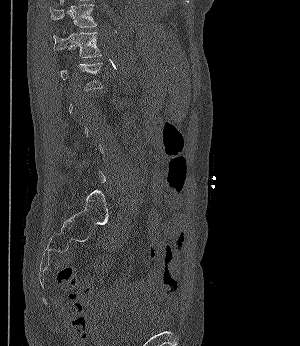

CT, spine. sagittal view. bone-window reconstruction

Boxes: x1:y1:x2:y2 in pixels. A vertebra is boxed only from the first to the last slice where its cross-section is at least a third of its largest; slices outside that range leave it without a box. The labeled vertebrae in this slice are: T11 at 50:4:96:27, T12 at 53:30:101:59.